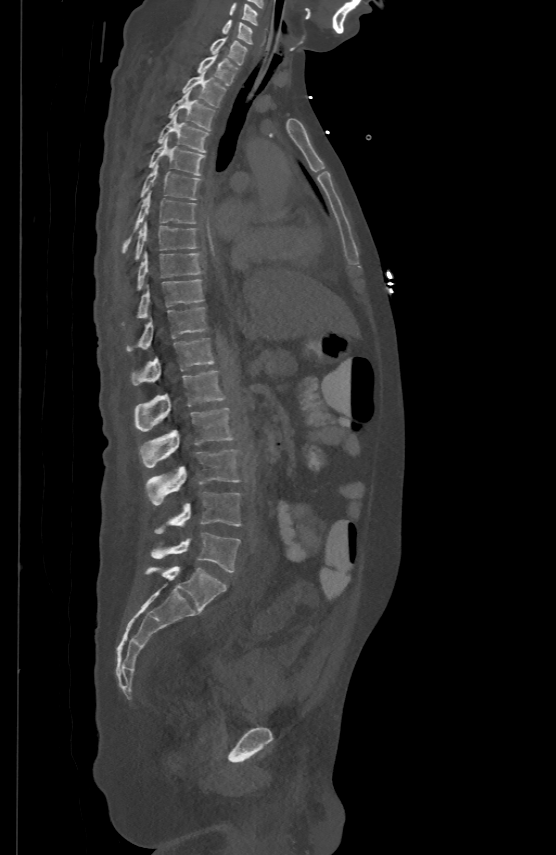

CT spine. sagittal reformat
Each box given as x1,y1,x2,y2.
C5: x1=230, y1=2, x2=257, y2=23
C6: x1=222, y1=19, x2=251, y2=43
C7: x1=211, y1=36, x2=246, y2=63
T1: x1=197, y1=53, x2=237, y2=84
T2: x1=182, y1=71, x2=226, y2=105
T3: x1=169, y1=91, x2=215, y2=130
T4: x1=157, y1=113, x2=207, y2=151
T5: x1=149, y1=136, x2=204, y2=175
T6: x1=141, y1=163, x2=199, y2=199
T7: x1=123, y1=191, x2=195, y2=251
T8: x1=136, y1=221, x2=195, y2=258
T9: x1=138, y1=251, x2=200, y2=288
T10: x1=138, y1=279, x2=203, y2=316
T11: x1=127, y1=306, x2=206, y2=350
T12: x1=132, y1=336, x2=214, y2=383
L1: x1=135, y1=370, x2=224, y2=431
L2: x1=141, y1=406, x2=232, y2=467
L3: x1=145, y1=450, x2=239, y2=505
L4: x1=153, y1=492, x2=241, y2=533
L5: x1=150, y1=533, x2=240, y2=572